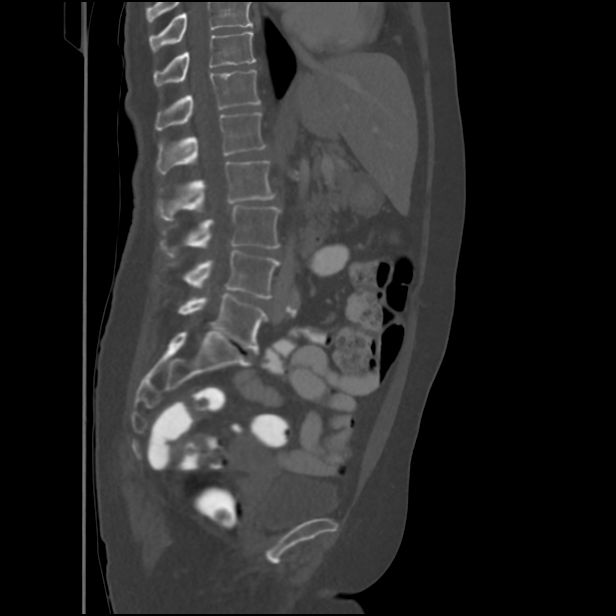

CT — sagittal view — bone-window reconstruction — 434 mm wide — 616x616 px
In the table, x1 and y1 are a box's top-left corner and x2 and y2 its bottom-right corner, in pixels.
No box is given to a vertebra that the top edge of the scan cuts off.
| vertebra | x1 | y1 | x2 | y2 |
|---|---|---|---|---|
| T11 | 154 | 32 | 255 | 86 |
| T12 | 155 | 70 | 261 | 130 |
| L1 | 157 | 113 | 266 | 174 |
| L2 | 157 | 161 | 275 | 219 |
| L3 | 159 | 205 | 280 | 256 |
| L4 | 184 | 250 | 280 | 299 |
| L5 | 178 | 293 | 268 | 351 |